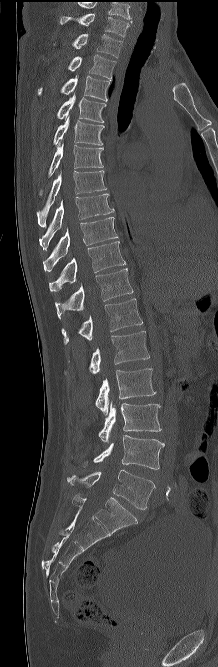

Spine computed tomography — sagittal view — bone window — 218x667 px
Labels in this scan begin with C7 at the top and end with L5 at the bottom.
<vertebrae><v name="C7" x1="60" y1="14" x2="129" y2="36"/><v name="T1" x1="72" y1="33" x2="122" y2="57"/><v name="T2" x1="68" y1="54" x2="116" y2="80"/><v name="T3" x1="38" y1="75" x2="109" y2="101"/><v name="T4" x1="57" y1="94" x2="106" y2="122"/><v name="T5" x1="53" y1="117" x2="104" y2="145"/><v name="T6" x1="48" y1="142" x2="103" y2="177"/><v name="T7" x1="36" y1="170" x2="106" y2="227"/><v name="T8" x1="39" y1="193" x2="114" y2="250"/><v name="T9" x1="43" y1="217" x2="118" y2="271"/><v name="T10" x1="49" y1="241" x2="125" y2="291"/><v name="T11" x1="55" y1="268" x2="133" y2="319"/><v name="T12" x1="61" y1="298" x2="142" y2="344"/><v name="L1" x1="64" y1="331" x2="149" y2="374"/><v name="L2" x1="95" y1="368" x2="155" y2="415"/><v name="L3" x1="98" y1="402" x2="161" y2="442"/><v name="L4" x1="83" y1="435" x2="164" y2="469"/><v name="L5" x1="67" y1="469" x2="155" y2="509"/></vertebrae>